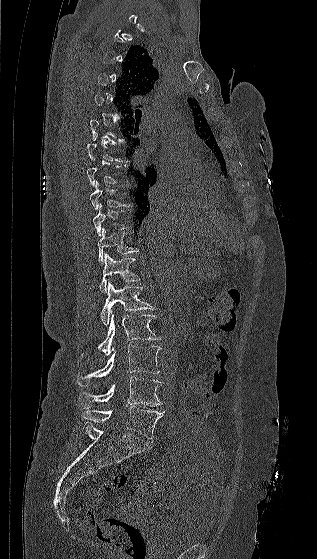

CT. sagittal reformat. bone window
A vertebra is boxed only from the first to the last slice where its cross-section is at least a third of its largest; slices outside that range leave it without a box.
<vertebrae><v name="T7" x1="87" y1="134" x2="128" y2="162"/><v name="T9" x1="89" y1="181" x2="129" y2="210"/><v name="T10" x1="93" y1="204" x2="128" y2="236"/><v name="T11" x1="97" y1="227" x2="138" y2="264"/><v name="T12" x1="99" y1="253" x2="140" y2="292"/><v name="L1" x1="100" y1="282" x2="155" y2="326"/><v name="L2" x1="97" y1="313" x2="160" y2="356"/><v name="L3" x1="77" y1="345" x2="161" y2="385"/><v name="L4" x1="79" y1="376" x2="161" y2="408"/><v name="L5" x1="82" y1="406" x2="164" y2="439"/></vertebrae>